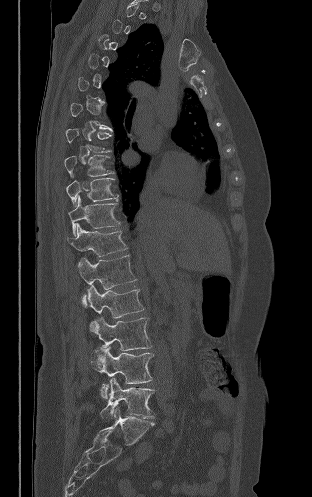 CT · sagittal view · 312x497 px · 312 mm image width
Coordinates as <box>x1,y1,x2,y2</box>.
Not every vertebra on this slice has a box: a vertebra is boxed only from the first to the last slice where its cross-section is at least a third of its largest, and this slice is outside that range for at least one of them.
T8: <box>65,129,110,152</box>
T9: <box>64,155,112,177</box>
T10: <box>66,178,118,205</box>
T11: <box>68,195,120,235</box>
T12: <box>67,223,127,256</box>
L1: <box>79,255,136,305</box>
L2: <box>86,284,144,318</box>
L3: <box>90,317,152,350</box>
L4: <box>91,347,153,398</box>
L5: <box>100,377,154,421</box>